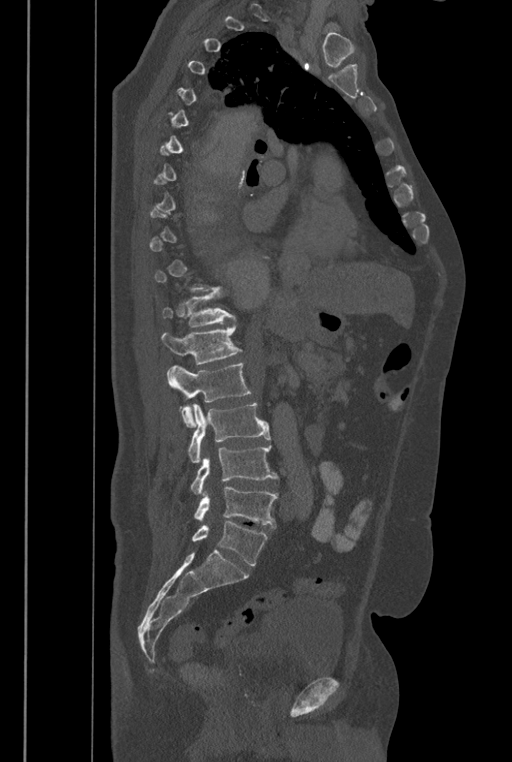
Computed tomography of the spine — sagittal view
Bounding boxes as [x1, y1, x2, y2] in pixel coordinates.
A vertebra is boxed only from the first to the last slice where its cross-section is at least a third of its largest; slices outside that range leave it without a box.
In these labels the spine has an L6, a sixth lumbar vertebra below L5.
Vertebra bounding boxes:
- T12: [162, 291, 236, 327]
- L1: [162, 319, 240, 365]
- L2: [167, 363, 250, 427]
- L3: [188, 403, 271, 462]
- L4: [190, 445, 278, 494]
- L5: [194, 486, 278, 527]
- L6: [192, 521, 268, 565]